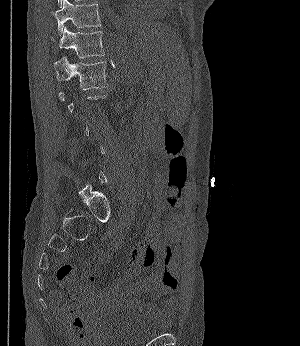
Spine CT. sagittal reformat. bone window. Coordinates as <box>x1,y1,x2,y2</box>.
A vertebra gets a box only on the slices from the first to the last where its cross-section is at least a third of its largest; on a slice outside that range it gets none.
Vertebra bounding boxes:
- T11: <box>52,0,101,36</box>
- T12: <box>59,26,105,58</box>
- L1: <box>54,56,107,89</box>